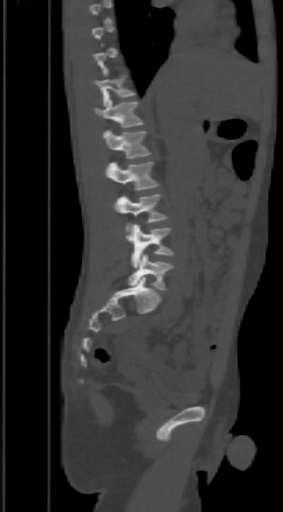 Spine computed tomography; sagittal reformat

Columns x1, y1, x2, y2 give each box's top-left and bottom-right pixels.
Not every vertebra on this slice has a box: a vertebra is boxed only from the first to the last slice where its cross-section is at least a third of its largest, and this slice is outside that range for at least one of them.
| vertebra | x1 | y1 | x2 | y2 |
|---|---|---|---|---|
| L5 | 129 | 254 | 173 | 290 |
| L4 | 126 | 224 | 173 | 267 |
| L3 | 115 | 194 | 167 | 230 |
| L2 | 104 | 161 | 159 | 191 |
| L1 | 104 | 130 | 150 | 158 |
| T12 | 95 | 99 | 142 | 127 |
| T11 | 92 | 68 | 133 | 106 |